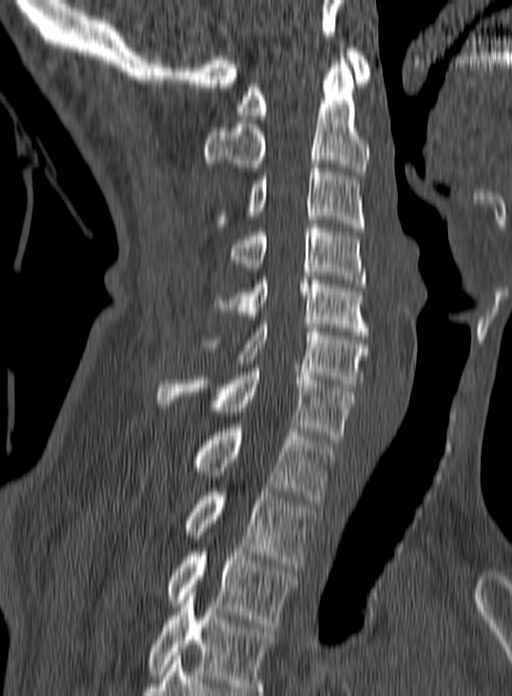

Spine computed tomography. sagittal view. 512x696 px. image 160 mm wide

Boxes: x1 y1 x2 y2 (pixel coords, space-separated). The highest labeled vertebra in this scan is C1; the lowest is T3. 10 vertebrae labeled — C1 at 236 48 371 119; C2 at 204 48 369 175; C3 at 217 164 365 231; C4 at 229 224 366 287; C5 at 213 280 368 335; C6 at 201 320 368 387; C7 at 158 368 354 443; T1 at 193 428 334 503; T2 at 186 484 314 571; T3 at 168 548 298 627.